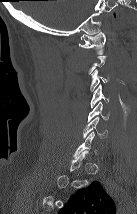
Computed tomography of the spine. sagittal view
Not every vertebra on this slice has a box: a vertebra is boxed only from the first to the last slice where its cross-section is at least a third of its largest, and this slice is outside that range for at least one of them.
<vertebrae><v name="C1" x1="79" y1="32" x2="105" y2="54"/><v name="C3" x1="90" y1="69" x2="109" y2="91"/><v name="C4" x1="90" y1="84" x2="109" y2="107"/><v name="C5" x1="87" y1="102" x2="109" y2="122"/><v name="C6" x1="83" y1="117" x2="107" y2="138"/><v name="C7" x1="73" y1="132" x2="98" y2="157"/></vertebrae>